Spine CT — sagittal plane, index 245 — 512x980 px — 16 vertebrae labeled in this scan — image 336 mm wide
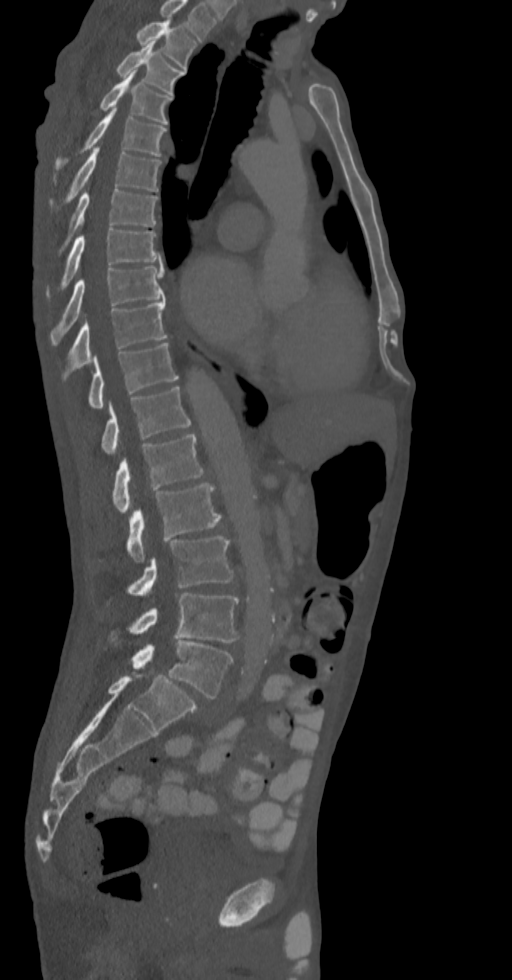 Box edges are left/top/right/bottom in pixels.
The highest labeled vertebra in this scan is T2; the lowest is L5.
T2: left=135, top=20, right=197, bottom=69
T3: left=116, top=43, right=183, bottom=95
T4: left=99, top=72, right=172, bottom=124
T5: left=55, top=108, right=166, bottom=173
T6: left=48, top=148, right=160, bottom=211
T7: left=58, top=187, right=157, bottom=255
T8: left=45, top=229, right=160, bottom=299
T9: left=50, top=267, right=163, bottom=343
T10: left=64, top=299, right=166, bottom=377
T11: left=88, top=343, right=177, bottom=409
T12: left=102, top=386, right=191, bottom=455
L1: left=112, top=434, right=204, bottom=513
L2: left=128, top=483, right=221, bottom=563
L3: left=128, top=536, right=233, bottom=596
L4: left=111, top=593, right=239, bottom=642
L5: left=130, top=640, right=233, bottom=698